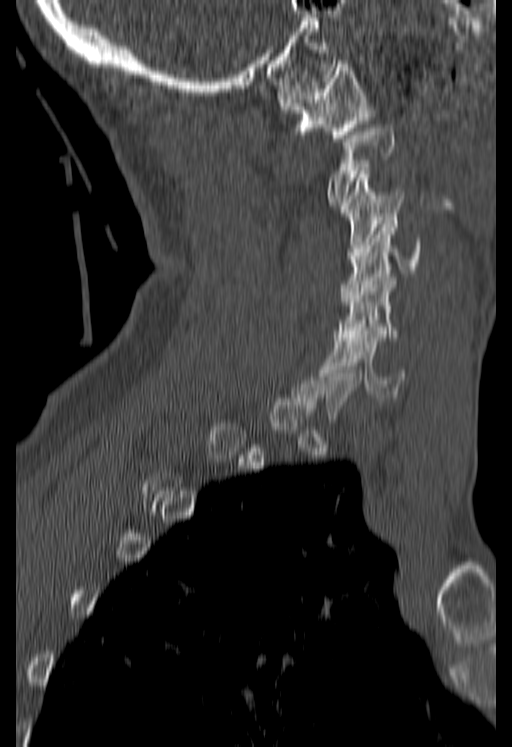

Computed tomography of the spine · sagittal view · bone-window reconstruction · 180 mm wide · 512x747 px
Box edges are left/top/right/bottom in pixels.
A vertebra gets a box only on the slices from the first to the last where its cross-section is at least a third of its largest; on a slice outside that range it gets none.
| vertebra | x1 | y1 | x2 | y2 |
|---|---|---|---|---|
| C1 | 278 | 60 | 373 | 141 |
| C2 | 328 | 128 | 392 | 205 |
| C3 | 342 | 171 | 404 | 259 |
| C4 | 339 | 220 | 420 | 301 |
| C5 | 335 | 274 | 400 | 340 |
| C6 | 323 | 331 | 405 | 397 |